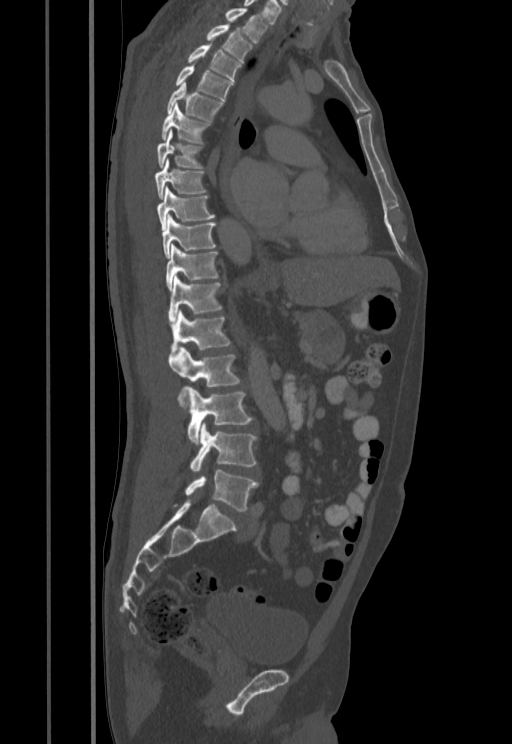 Spine computed tomography · sagittal view
Box values are [left, top, right, bottom] in pixels.
{"vertebrae":{"L5":[184,470,258,511],"L4":[190,423,257,470],"L3":[188,387,252,443],"L2":[169,347,240,408],"L1":[171,309,231,352],"T12":[169,276,222,321],"T11":[165,245,218,290],"T10":[162,214,216,258],"T9":[157,186,215,228],"T8":[155,159,206,199],"T7":[157,129,203,168],"T6":[161,104,209,144],"T5":[166,83,223,121],"T4":[175,66,233,100],"T3":[188,44,241,81],"T2":[206,24,252,62],"T1":[225,8,268,43]}}